Spine CT · sagittal view · scan covers 7 annotated vertebrae
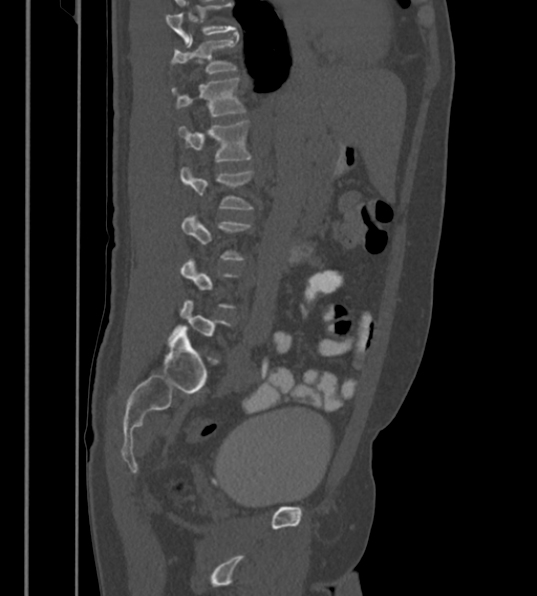 Boxes: x1 y1 x2 y2 (pixel coords, space-separated).
Not every vertebra on this slice has a box: a vertebra is boxed only from the first to the last slice where its cross-section is at least a third of its largest, and this slice is outside that range for at least one of them.
This scan's labels start at T12 at the top and end at L6 at the bottom.
T12: 171 35 236 74
L1: 171 77 247 116
L2: 178 120 252 161
L3: 180 166 254 209
L4: 181 215 250 260